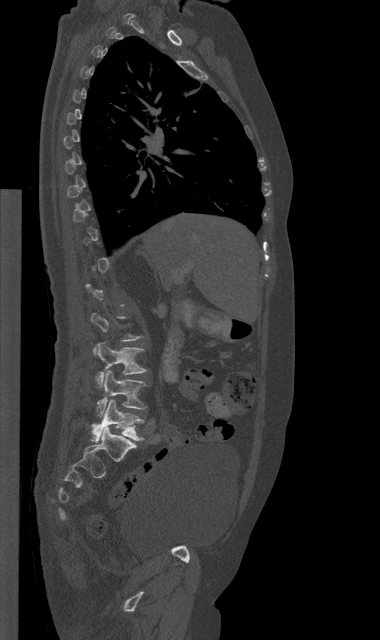

CT. sagittal reformat. bone window. 380x640 px. 380 mm wide
Not every vertebra on this slice has a box: a vertebra is boxed only from the first to the last slice where its cross-section is at least a third of its largest, and this slice is outside that range for at least one of them.
<vertebrae><v name="L5" x1="92" y1="399" x2="143" y2="442"/><v name="L4" x1="97" y1="371" x2="145" y2="416"/><v name="L3" x1="96" y1="342" x2="146" y2="387"/></vertebrae>